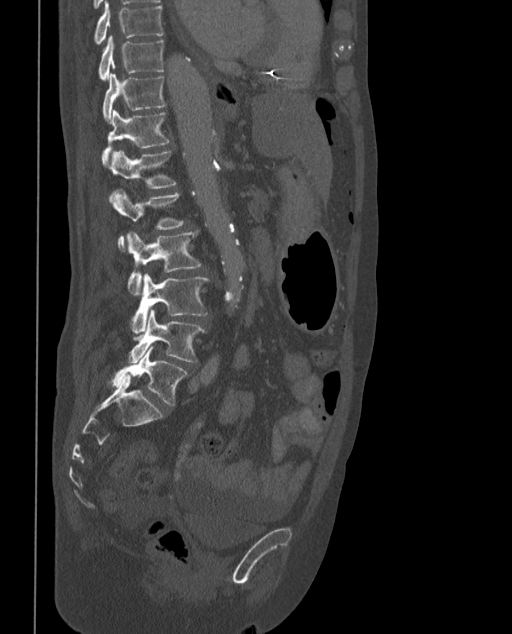
Spine computed tomography · sagittal view · bone window
In these labels the spine has an L6, a sixth lumbar vertebra below L5.
<vertebrae><v name="L6" x1="112" y1="346" x2="187" y2="405"/><v name="L5" x1="128" y1="310" x2="206" y2="362"/><v name="L4" x1="132" y1="274" x2="209" y2="335"/><v name="L3" x1="127" y1="230" x2="202" y2="294"/><v name="L2" x1="114" y1="189" x2="185" y2="251"/><v name="L1" x1="109" y1="151" x2="177" y2="202"/><v name="T12" x1="101" y1="110" x2="170" y2="165"/><v name="T11" x1="103" y1="73" x2="166" y2="123"/><v name="T10" x1="97" y1="36" x2="164" y2="79"/><v name="T9" x1="93" y1="1" x2="164" y2="43"/></vertebrae>